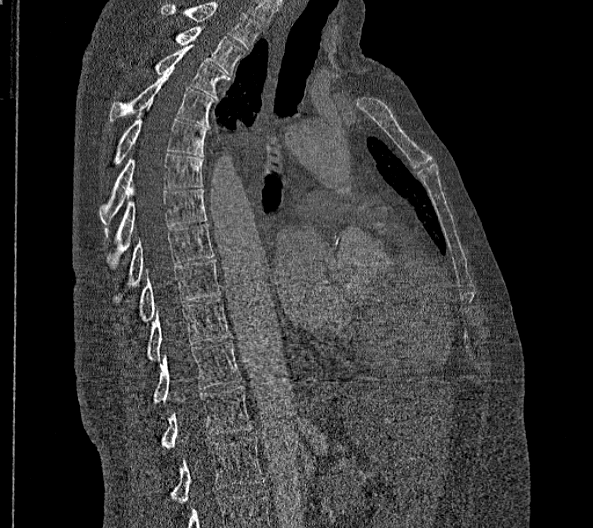

Spine computed tomography. sagittal view. 593x528 px
Coordinates as <box>x1,y1,x2,y2</box>. In this scan, the topmost labeled vertebra is T2 and the lowest is L2. In these labels the spine has no T12: the thoracic vertebrae end at T11, and L1 comes next. 12 vertebrae labeled — L2 at <box>171,437,263,504</box>; L1 at <box>161,385,252,449</box>; T11 at <box>153,341,240,402</box>; T10 at <box>146,298,231,361</box>; T9 at <box>140,260,220,322</box>; T8 at <box>111,223,213,302</box>; T7 at <box>105,188,208,269</box>; T6 at <box>100,153,202,237</box>; T5 at <box>114,104,208,164</box>; T4 at <box>109,73,213,126</box>; T3 at <box>155,43,226,99</box>; T2 at <box>175,27,246,75</box>.